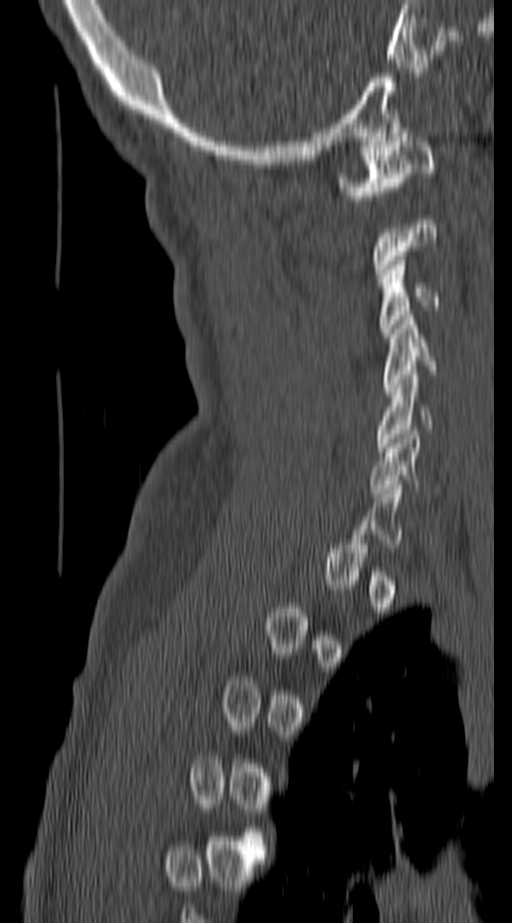 Spine computed tomography · sagittal view

Each box given as x1,y1,x2,y2.
A vertebra is boxed only from the first to the last slice where its cross-section is at least a third of its largest; slices outside that range leave it without a box.
| vertebra | x1 | y1 | x2 | y2 |
|---|---|---|---|---|
| C1 | 341 | 137 | 436 | 200 |
| C3 | 382 | 256 | 441 | 337 |
| C4 | 384 | 315 | 436 | 388 |
| C5 | 374 | 370 | 433 | 452 |
| C6 | 370 | 430 | 442 | 493 |